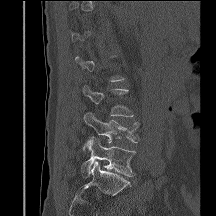 CT spine; sagittal reformat; Bone window (WL 400, WW 1800); 216x216 px

Boxes: x1 y1 x2 y2 (pixel coords, space-separated).
Each vertebra is boxed only on the slices from the first to the last where its cross-section reaches a third of its largest, so a slice outside that range leaves it unboxed.
L3: 83 85 133 116
L4: 84 112 139 143
L5: 81 137 135 177